CT · sagittal plane, index 239 · bone window · 512x589 px · scan covers 10 annotated vertebrae
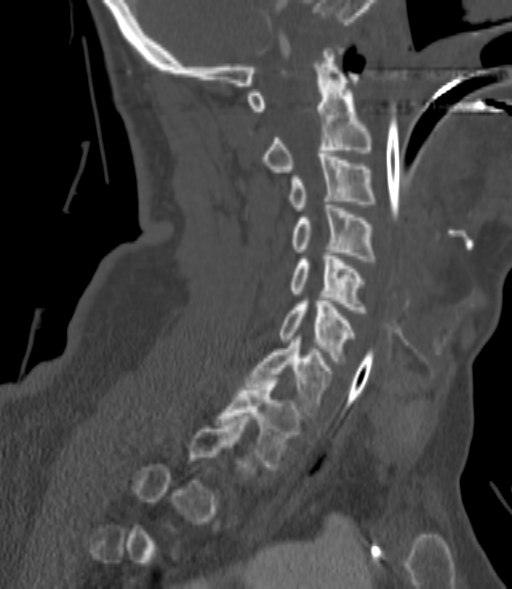
Not every vertebra on this slice has a box: a vertebra is boxed only from the first to the last slice where its cross-section is at least a third of its largest, and this slice is outside that range for at least one of them.
<vertebrae><v name="T1" x1="216" y1="378" x2="302" y2="469"/><v name="C7" x1="247" y1="336" x2="333" y2="415"/><v name="C6" x1="280" y1="298" x2="356" y2="364"/><v name="C5" x1="290" y1="253" x2="366" y2="313"/><v name="C4" x1="290" y1="205" x2="376" y2="261"/><v name="C3" x1="288" y1="154" x2="376" y2="210"/><v name="C2" x1="262" y1="48" x2="371" y2="172"/></vertebrae>